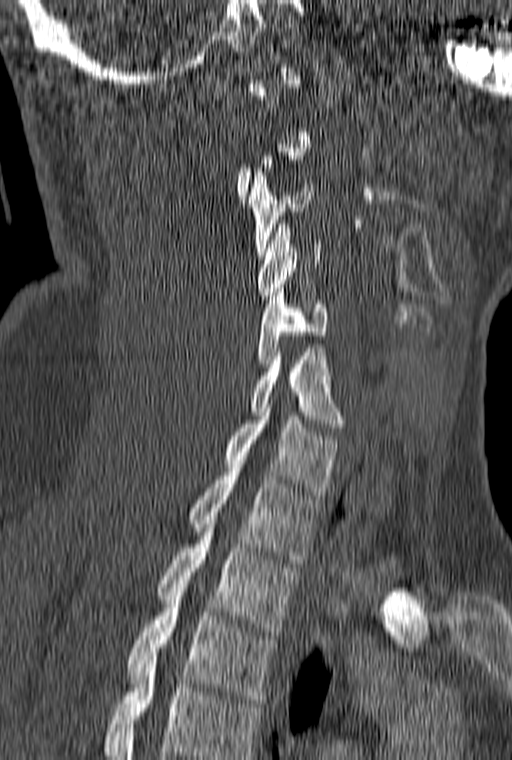 CT spine · sagittal view
Bounding boxes as [x1, y1, x2, y2] in pixel coordinates.
A vertebra gets a box only on the slices from the first to the last where its cross-section is at least a third of its largest; on a slice outside that range it gets none.
Labels in this scan begin with C1 at the top and end with T3 at the bottom.
C3: [248, 168, 313, 255]
C4: [257, 220, 321, 299]
C5: [257, 288, 327, 367]
C6: [251, 348, 346, 431]
C7: [222, 408, 339, 495]
T1: [187, 464, 320, 563]
T2: [155, 520, 298, 635]
T3: [126, 596, 275, 703]